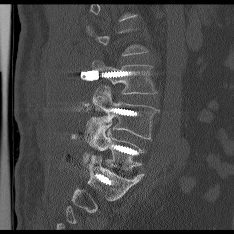
Spine computed tomography. sagittal view. W/L 1800/400 HU
Box values are [left, top, right, bottom] in pixels.
A vertebra is boxed only from the first to the last slice where its cross-section is at least a third of its largest; slices outside that range leave it without a box.
{"vertebrae":{"L3":[92,60,156,93],"L4":[85,87,158,141],"L5":[87,122,143,169]}}